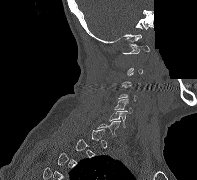

CT; sagittal view; bone window; 197x180 px; a region is blanked to uniform black, ending in a straight edge. Bounding boxes as [x1, y1, x2, y2] in pixel coordinates. Each vertebra is boxed only on the slices from the first to the last where its cross-section reaches a third of its largest, so a slice outside that range leaves it unboxed. The labeled vertebrae in this slice are: C1 at [122, 44, 149, 54], C5 at [114, 99, 133, 113], C6 at [108, 110, 127, 127].